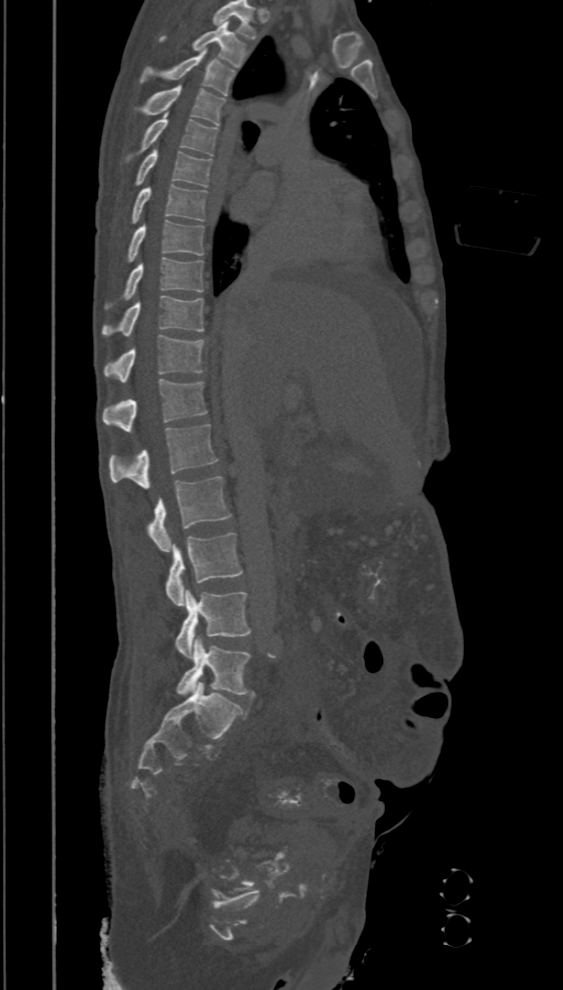

CT spine · sagittal view · image 394 mm wide
Each row gives a vertebra's box as x1, y1, x2, y2 in pixels: top-left corner, then bottom-right corner.
Labels in this scan begin with T2 at the top and end with L5 at the bottom.
| vertebra | x1 | y1 | x2 | y2 |
|---|---|---|---|---|
| T2 | 159 | 22 | 247 | 66 |
| T3 | 140 | 50 | 234 | 95 |
| T4 | 134 | 85 | 224 | 125 |
| T5 | 124 | 112 | 218 | 162 |
| T6 | 134 | 146 | 211 | 186 |
| T7 | 131 | 185 | 208 | 224 |
| T8 | 128 | 220 | 203 | 262 |
| T9 | 104 | 257 | 203 | 309 |
| T10 | 101 | 296 | 203 | 336 |
| T11 | 103 | 335 | 205 | 382 |
| T12 | 102 | 379 | 208 | 432 |
| L1 | 109 | 425 | 218 | 489 |
| L2 | 146 | 476 | 232 | 552 |
| L3 | 166 | 533 | 242 | 606 |
| L4 | 175 | 589 | 251 | 658 |
| L5 | 176 | 637 | 251 | 696 |